CT — sagittal view — 6 vertebrae labeled in this scan
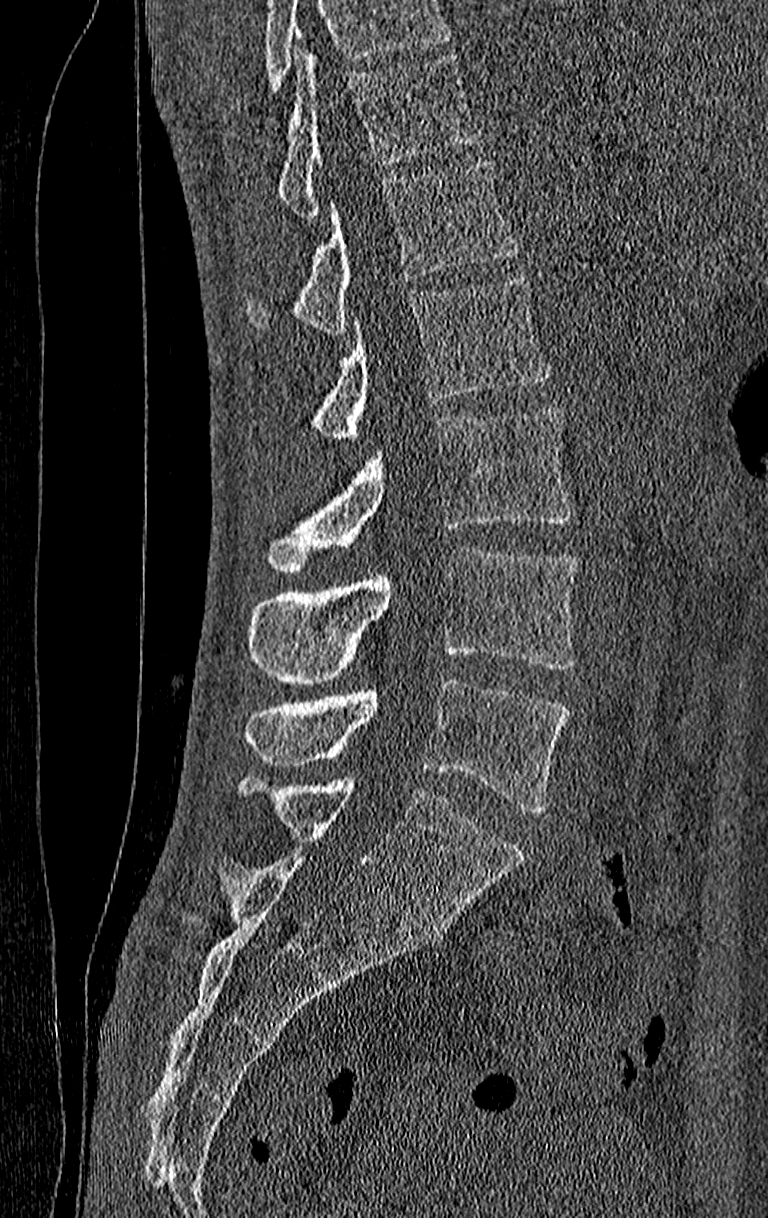 Each box given as x1,y1,x2,y2.
No box is given to a vertebra that the top edge of the scan cuts off.
The highest labeled vertebra in this scan is T11; the lowest is L4.
Vertebra bounding boxes:
- T11: x1=277, y1=48, x2=480, y2=220
- T12: x1=247, y1=158, x2=521, y2=333
- L1: x1=310, y1=275, x2=550, y2=438
- L2: x1=262, y1=406, x2=572, y2=570
- L3: x1=247, y1=546, x2=579, y2=684
- L4: x1=244, y1=678, x2=568, y2=812